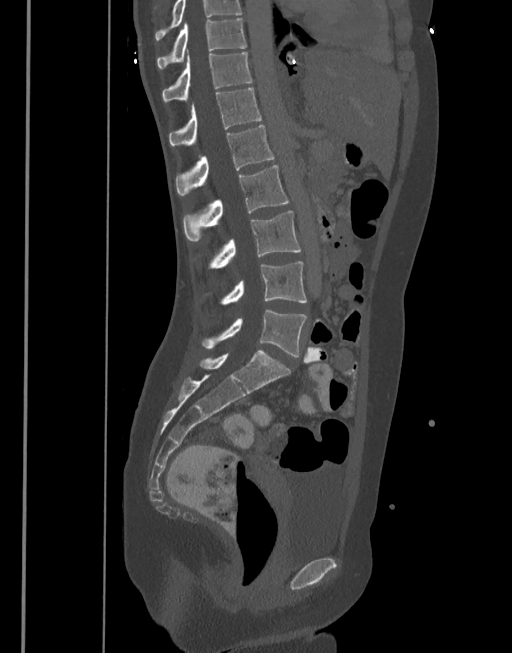
CT — the image spans 377 mm across — sagittal view — W/L 1800/400 HU

Boxes: x1 y1 x2 y2 (pixel coords, space-separated). This scan's labels start at T10 at the top and end at L5 at the bottom. The labeled vertebrae in this slice are: L5 at 202 309 307 357, L4 at 221 262 307 305, L3 at 210 210 300 268, L2 at 183 165 288 240, L1 at 175 125 275 196, T12 at 168 88 261 146, T11 at 161 53 251 102, T10 at 156 18 246 69.